CT · sagittal plane, index 263 · Bone window (WL 400, WW 1800)
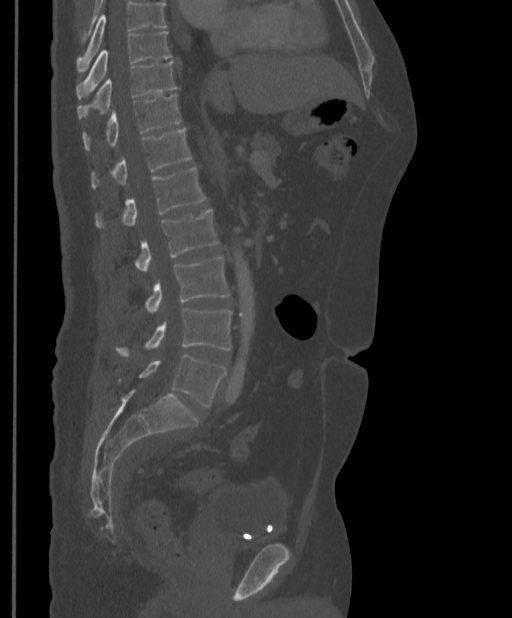
Where the top of the scan cuts through a vertebra, that vertebra gets no label or box.
<vertebrae><v name="T9" x1="76" y1="31" x2="172" y2="97"/><v name="T10" x1="77" y1="61" x2="177" y2="119"/><v name="T11" x1="82" y1="94" x2="181" y2="149"/><v name="T12" x1="91" y1="128" x2="191" y2="187"/><v name="L1" x1="95" y1="168" x2="205" y2="227"/><v name="L2" x1="135" y1="209" x2="218" y2="271"/><v name="L3" x1="146" y1="257" x2="230" y2="312"/><v name="L4" x1="116" y1="308" x2="231" y2="355"/><v name="L5" x1="139" y1="355" x2="226" y2="407"/></vertebrae>